Spine CT. sagittal plane, index 197. 556x678 px. 13 vertebrae labeled in this scan
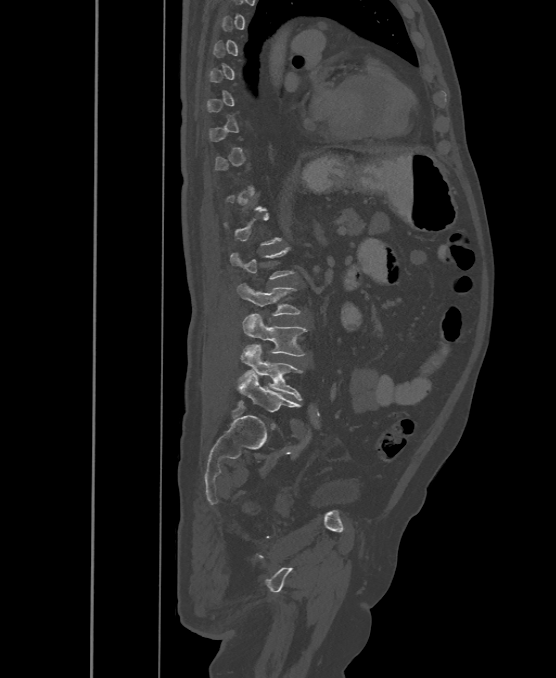

Each vertebra is boxed only on the slices from the first to the last where its cross-section reaches a third of its largest, so a slice outside that range leaves it unboxed.
These labels give the spine a sixth lumbar vertebra, L6, below L5.
<vertebrae><v name="L3" x1="237" y1="284" x2="300" y2="316"/><v name="L4" x1="242" y1="314" x2="306" y2="356"/><v name="L5" x1="238" y1="345" x2="302" y2="400"/><v name="L6" x1="238" y1="375" x2="298" y2="413"/></vertebrae>